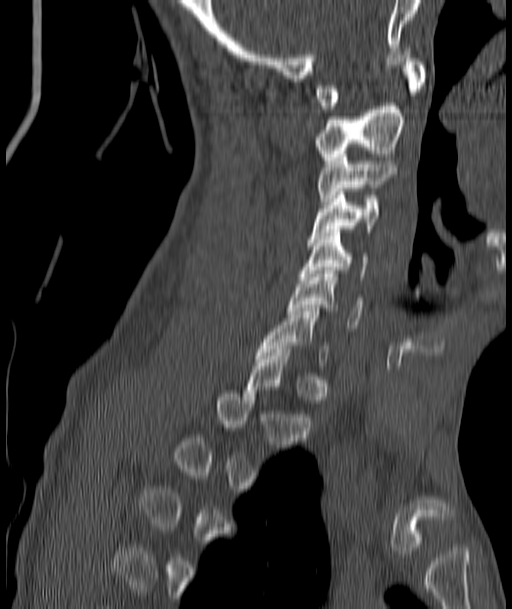
Spine CT · sagittal view · 512x609 px · image width 187 mm
Box values are [left, top, right, bottom] in pixels.
A vertebra gets a box only on the slices from the first to the last where its cross-section is at least a third of its largest; on a slice outside that range it gets none.
{"vertebrae":{"C1":[316,55,424,109],"C2":[316,103,405,163],"C3":[318,151,394,204],"C4":[307,192,380,242],"C5":[302,229,367,276],"C6":[288,270,364,328],"C7":[258,308,329,365]}}